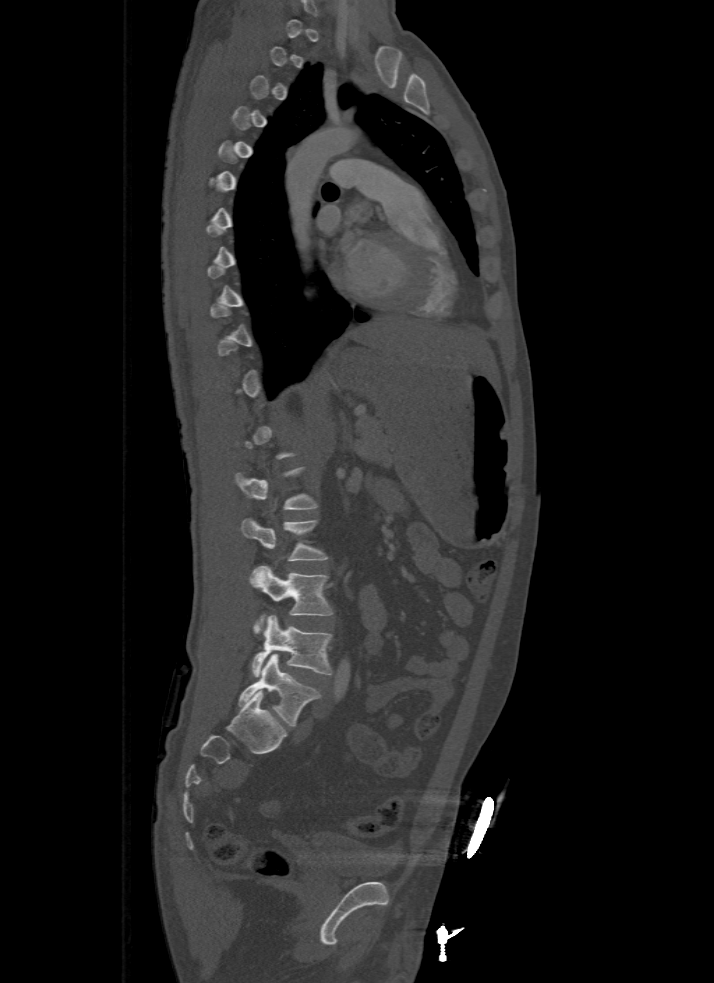

CT spine · 500 mm image width · sagittal view
Boxes are given in columns x1, y1, x2, y2, the pixel coordinates of their top-left and bottom-right corners.
Not every vertebra on this slice has a box: a vertebra is boxed only from the first to the last slice where its cross-section is at least a third of its largest, and this slice is outside that range for at least one of them.
| vertebra | x1 | y1 | x2 | y2 |
|---|---|---|---|---|
| L2 | 241 | 518 | 328 | 561 |
| L3 | 250 | 566 | 334 | 630 |
| L4 | 251 | 615 | 332 | 677 |
| L5 | 239 | 653 | 320 | 727 |